Spine computed tomography — sagittal plane, index 70 — 512x512 px — part of the image has been replaced by a constant value
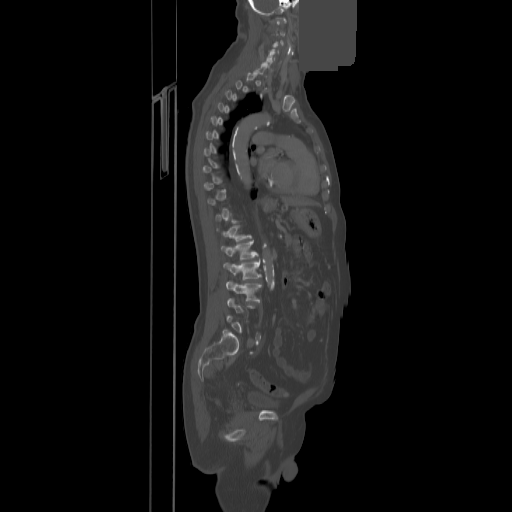 Coordinates as <box>x1,y1,x2,y2</box>.
Not every vertebra on this slice has a box: a vertebra is boxed only from the first to the last slice where its cross-section is at least a third of its largest, and this slice is outside that range for at least one of them.
C1: <box>276,18,286,24</box>
C5: <box>266,52,274,60</box>
C6: <box>261,60,271,71</box>
T12: <box>217,225,251,241</box>
L1: <box>221,240,258,259</box>
L2: <box>223,260,261,279</box>
L3: <box>226,281,261,301</box>